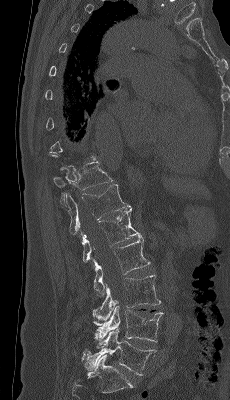

CT, spine · sagittal view · 230x400 px

Box edges are left/top/right/bottom in pixels.
Each vertebra is boxed only on the slices from the first to the last where its cross-section reaches a third of its largest, so a slice outside that range leaves it unboxed.
Vertebra bounding boxes:
- T11: left=53, top=160, right=114, bottom=202
- T12: left=65, top=183, right=131, bottom=237
- L1: left=82, top=208, right=141, bottom=263
- L2: left=93, top=237, right=150, bottom=296
- L3: left=93, top=275, right=160, bottom=319
- L4: left=92, top=303, right=163, bottom=348
- L5: left=84, top=329, right=156, bottom=375